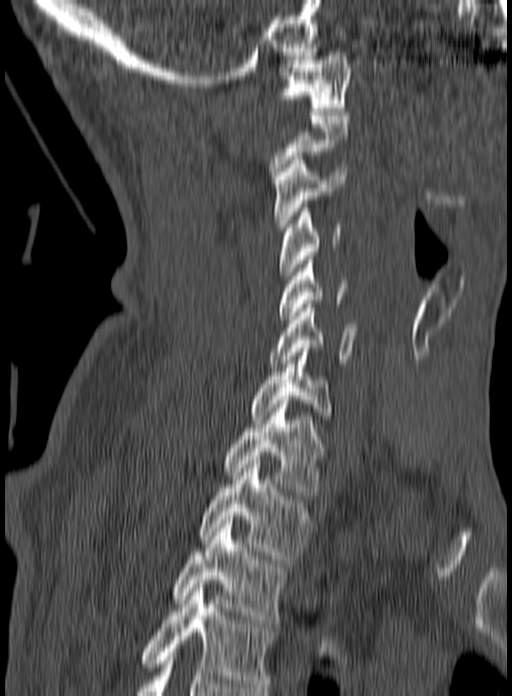

CT spine; sagittal reformat; W/L 1800/400 HU; 512x696 px
Box edges are left/top/right/bottom in pixels.
A vertebra gets a box only on the slices from the first to the last where its cross-section is at least a third of its largest; on a slice outside that range it gets none.
The highest labeled vertebra in this scan is C1; the lowest is T3.
C1: left=281, top=52, right=351, bottom=111
C3: left=273, top=156, right=346, bottom=231
C4: left=280, top=204, right=344, bottom=279
C5: left=278, top=256, right=346, bottom=319
C6: left=268, top=304, right=358, bottom=367
C7: left=251, top=344, right=333, bottom=419
T1: left=222, top=400, right=328, bottom=499
T2: left=196, top=464, right=311, bottom=559
T3: left=171, top=516, right=288, bottom=623